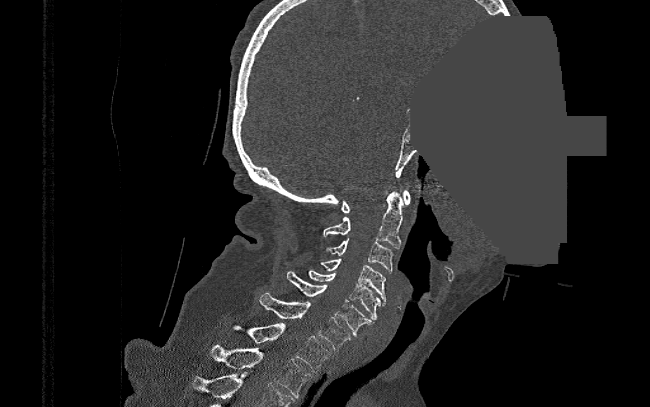
Spine CT · sagittal view · part of the image is a flat gray fill, not anatomy
Boxes are given in columns x1, y1, x2, y2, the pixel coordinates of their top-left and bottom-right corners.
| vertebra | x1 | y1 | x2 | y2 |
|---|---|---|---|---|
| T2 | 209 | 346 | 311 | 397 |
| T1 | 232 | 323 | 330 | 371 |
| C7 | 260 | 292 | 351 | 350 |
| C6 | 287 | 271 | 374 | 336 |
| C5 | 307 | 270 | 380 | 319 |
| C4 | 320 | 258 | 386 | 305 |
| C3 | 325 | 239 | 393 | 273 |
| C2 | 324 | 191 | 403 | 248 |
| C1 | 340 | 190 | 410 | 213 |